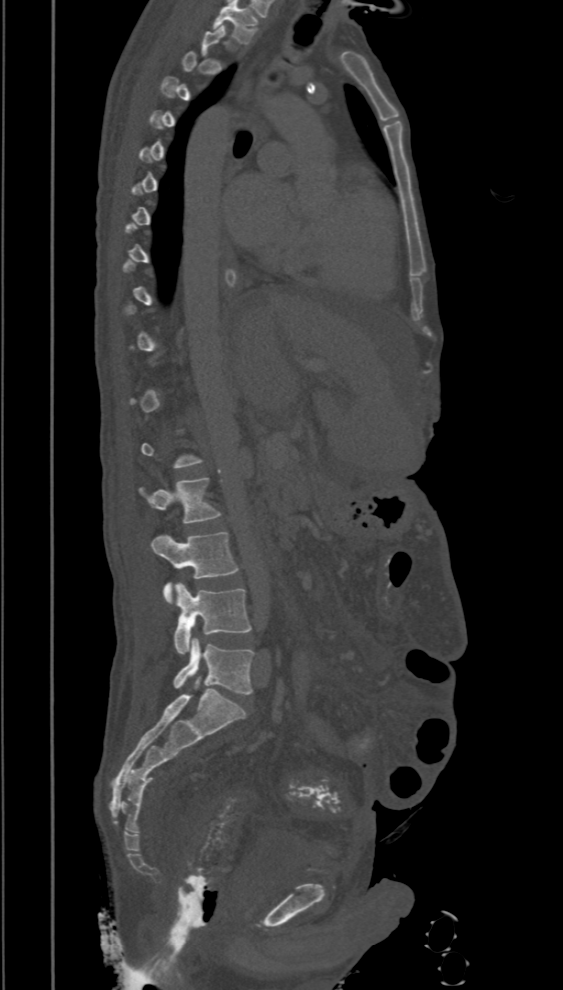

CT spine; sagittal view; W/L 1800/400 HU; the image is 394 mm wide
Boxes are (x1, y1, x2, y2) in pixels. A vertebra gets a box only on the slices from the first to the last where its cross-section is at least a third of its largest; on a slice outside that range it gets none. Vertebrae labeled: L2 at (139, 477, 220, 524), L3 at (152, 532, 238, 604), L4 at (174, 583, 251, 654), L5 at (173, 637, 254, 694).